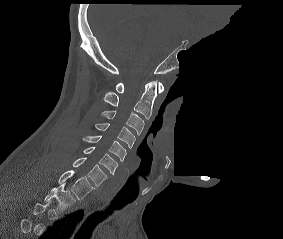

CT spine · sagittal reformat · 283x239 px · a region is blanked to uniform black, ending in a straight edge
Boxes: x1 y1 x2 y2 (pixel coords, space-separated).
In this scan, the topmost labeled vertebra is C1 and the lowest is T2.
Vertebra bounding boxes:
- T2: 44 182 75 210
- T1: 58 170 94 200
- C7: 72 157 107 186
- C6: 83 147 118 174
- C5: 82 135 126 161
- C4: 95 123 135 148
- C3: 100 110 144 135
- C2: 102 80 157 119
- C1: 115 82 163 93